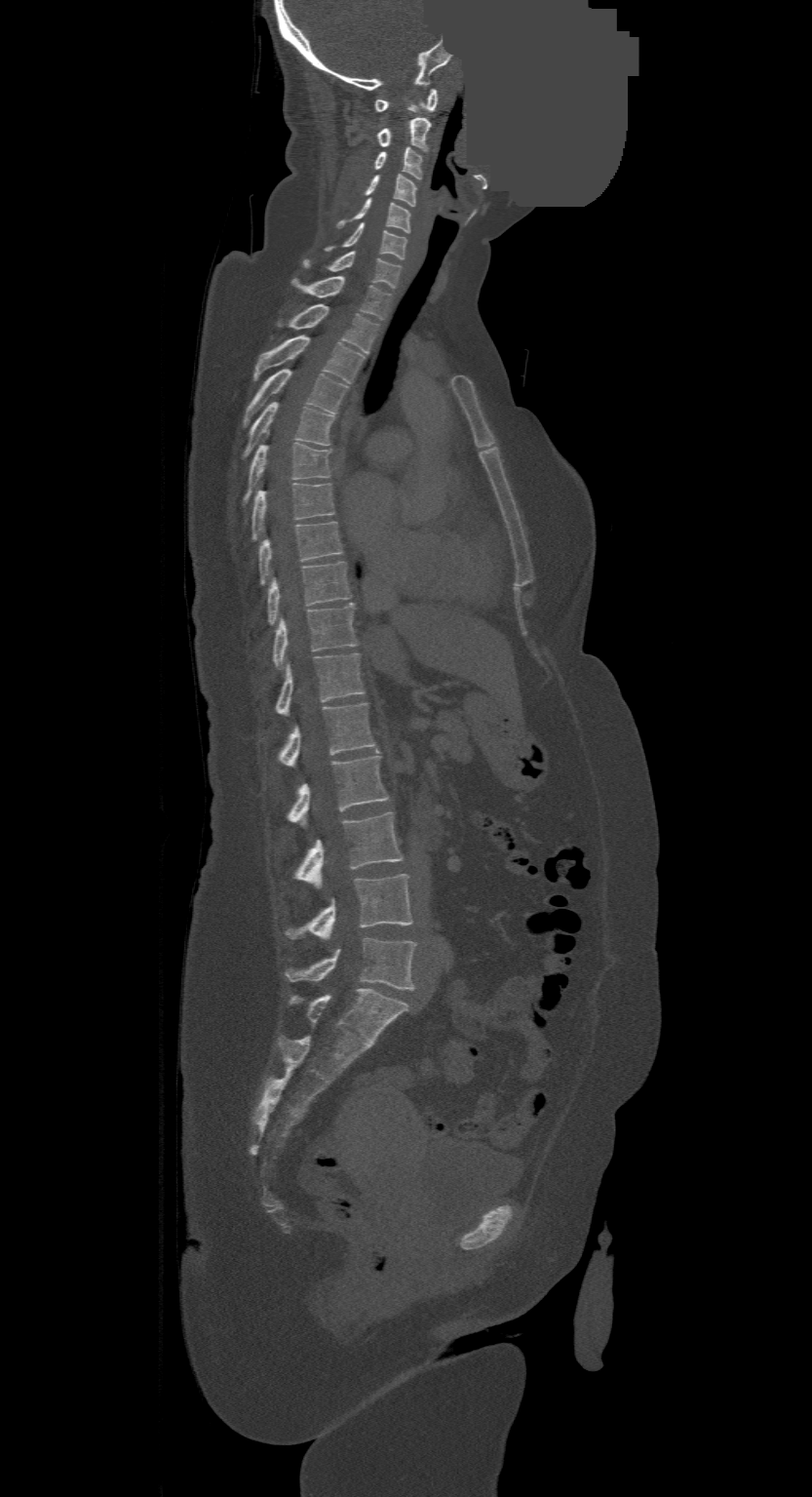
Spine CT; sagittal view; 812x1497 px; a region is masked with a constant gray value
Boxes: x1 y1 x2 y2 (pixel coords, space-separated). In this scan, the topmost labeled vertebra is C1 and the lowest is L4. The labeled vertebrae in this slice are: C1 at 376 88 437 113, C2 at 377 117 431 150, C3 at 376 146 421 178, C4 at 365 175 414 206, C5 at 338 199 410 232, C6 at 327 223 406 259, C7 at 303 251 401 287, T1 at 291 277 391 320, T2 at 289 304 378 354, T3 at 253 335 364 383, T4 at 245 370 348 425, T5 at 246 402 335 454, T6 at 246 443 330 498, T7 at 252 483 335 539, T8 at 260 522 343 583, T9 at 268 561 351 623, T10 at 273 604 356 667, T11 at 276 653 364 716, T12 at 279 702 376 768, L1 at 289 751 389 828, L2 at 295 811 402 890, L3 at 288 873 411 940, L4 at 286 938 414 989.